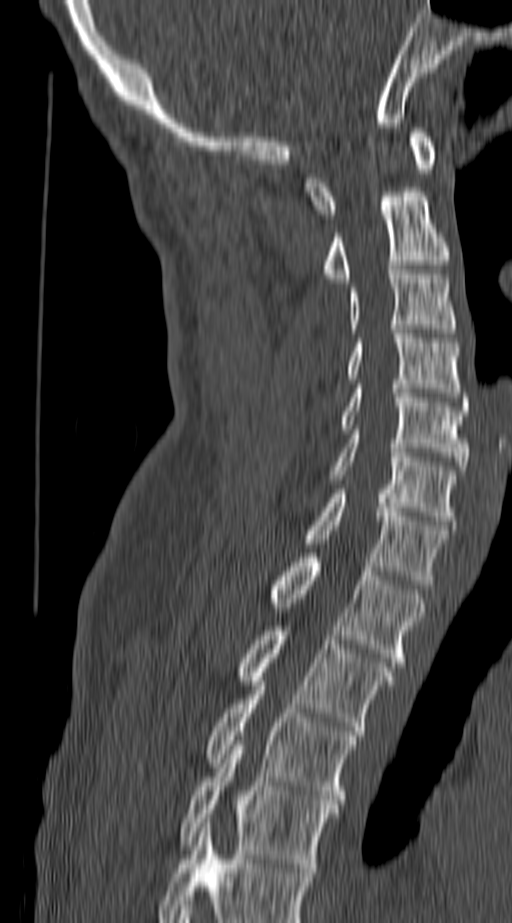
Computed tomography of the spine — sagittal view — Bone window (WL 400, WW 1800) — 512x923 px

Coordinates as <box>x1,y1,x2,y2</box>. Labels in this scan begin with C1 at the top and end with T4 at the bottom. The labeled vertebrae in this slice are: C1 at <box>305,128,436,218</box>, C2 at <box>323,187,450,282</box>, C3 at <box>349,270,454,333</box>, C4 at <box>349,329,461,397</box>, C5 at <box>341,384,468,470</box>, C6 at <box>330,434,454,525</box>, C7 at <box>305,489,447,584</box>, T1 at <box>272,553,425,666</box>, T2 at <box>239,626,395,730</box>, T3 at <box>206,681,355,804</box>, T4 at <box>181,741,337,872</box>.